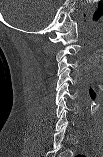 CT. sagittal view. 103x157 px. Bounding boxes as [x1, y1, x2, y2] in pixel coordinates.
Each vertebra is boxed only on the slices from the first to the last where its cross-section reaches a third of its largest, so a slice outside that range leaves it unboxed.
C1: [49, 20, 77, 45]
C3: [57, 56, 77, 75]
C4: [56, 68, 76, 90]
C5: [55, 83, 77, 104]
C6: [56, 97, 77, 117]